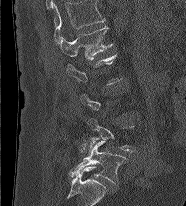 Spine computed tomography; sagittal view; bone-window reconstruction; 186x206 px
Boxes are given in columns x1, y1, x2, y2, the pixel coordinates of their top-left and bottom-right corners.
A vertebra gets a box only on the slices from the first to the last where its cross-section is at least a third of its largest; on a slice outside that range it gets none.
In this scan, the topmost labeled vertebra is L1 and the lowest is L5.
| vertebra | x1 | y1 | x2 | y2 |
|---|---|---|---|---|
| L1 | 61 | 26 | 113 | 60 |
| L5 | 69 | 140 | 126 | 184 |